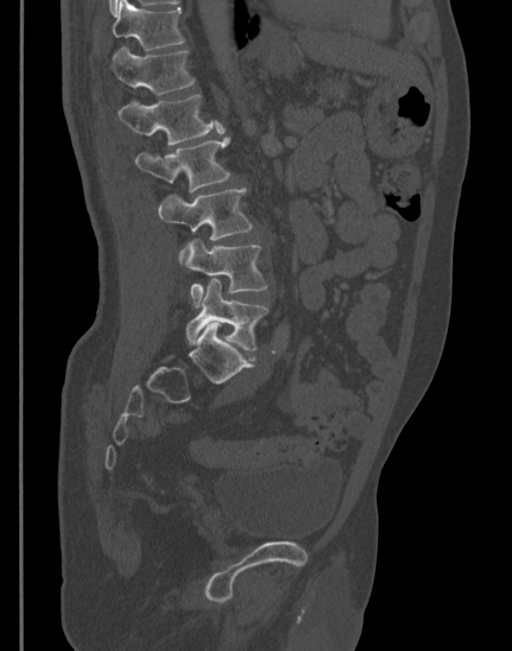

CT spine. sagittal view. Bone window (WL 400, WW 1800). the image spans 345 mm across. Each row gives a vertebra's box as x1, y1, x2, y2 in pixels: top-left corner, then bottom-right corner.
| vertebra | x1 | y1 | x2 | y2 |
|---|---|---|---|---|
| T11 | 111 | 0 | 184 | 50 |
| T12 | 110 | 46 | 195 | 95 |
| L1 | 118 | 94 | 224 | 145 |
| L2 | 135 | 138 | 230 | 193 |
| L3 | 159 | 188 | 253 | 263 |
| L4 | 179 | 240 | 267 | 306 |
| L5 | 185 | 278 | 267 | 350 |